CT spine · sagittal view · bone-window reconstruction · scan covers 17 annotated vertebrae · image 350 mm wide
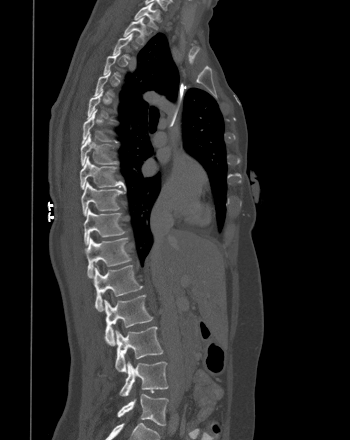
Bounding boxes as [x1, y1, x2, y2] in pixel coordinates.
Not every vertebra on this slice has a box: a vertebra is boxed only from the first to the last slice where its cross-section is at least a third of its largest, and this slice is outside that range for at least one of them.
Vertebra bounding boxes:
- T1: [134, 2, 159, 29]
- T2: [123, 17, 146, 44]
- T7: [81, 110, 115, 143]
- T8: [80, 133, 117, 165]
- T9: [80, 156, 123, 189]
- T10: [81, 181, 123, 215]
- T11: [83, 208, 125, 245]
- T12: [85, 237, 131, 277]
- L1: [93, 265, 142, 311]
- L2: [104, 295, 153, 345]
- L3: [115, 326, 163, 372]
- L4: [120, 361, 168, 396]
- L5: [117, 394, 168, 426]